Spine computed tomography; Sagittal slice 252/512; part of the image has been replaced by a constant value
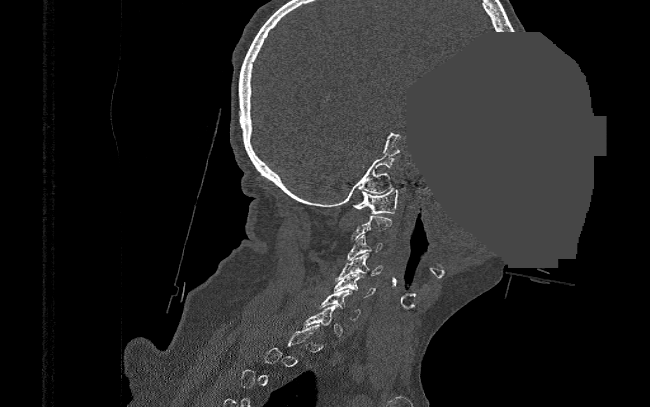

Boxes below are [x1, y1, x2, y2] in pixels.
Not every vertebra on this slice has a box: a vertebra is boxed only from the first to the last slice where its cross-section is at least a third of its largest, and this slice is outside that range for at least one of them.
{"vertebrae":{"C6":[320,289,361,319],"C5":[334,273,375,297],"C4":[335,253,382,280],"C3":[347,235,382,260],"C1":[353,187,398,214]}}